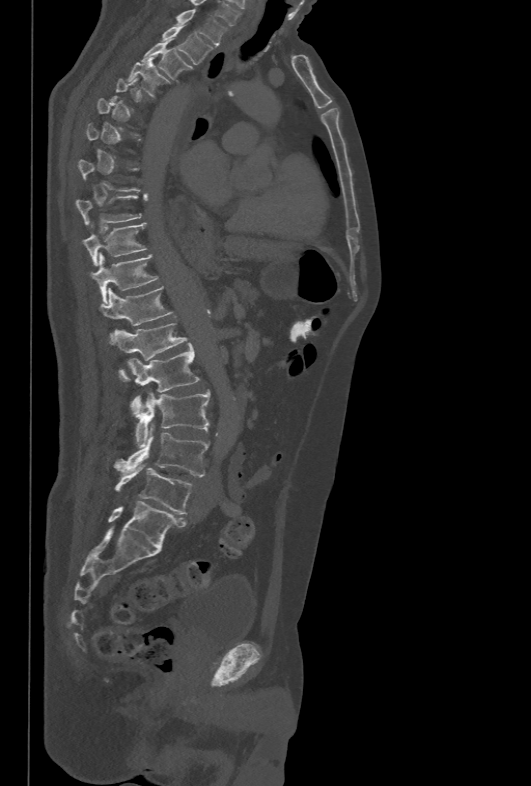 Spine computed tomography. sagittal view. W/L 1800/400 HU. 531x786 px. Columns x1, y1, x2, y2 give each box's top-left and bottom-right pixels.
Each vertebra is boxed only on the slices from the first to the last where its cross-section reaches a third of its largest, so a slice outside that range leaves it unboxed.
| vertebra | x1 | y1 | x2 | y2 |
|---|---|---|---|---|
| T1 | 175 | 8 | 225 | 45 |
| T2 | 160 | 26 | 213 | 64 |
| T3 | 142 | 38 | 188 | 78 |
| T4 | 127 | 60 | 167 | 95 |
| T9 | 76 | 195 | 141 | 224 |
| T10 | 82 | 223 | 146 | 265 |
| T11 | 90 | 253 | 158 | 303 |
| T12 | 99 | 286 | 173 | 345 |
| L1 | 115 | 323 | 188 | 381 |
| L2 | 127 | 343 | 199 | 415 |
| L3 | 136 | 390 | 209 | 446 |
| L4 | 113 | 423 | 209 | 476 |
| L5 | 115 | 463 | 192 | 514 |